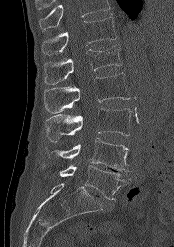 CT; sagittal view

A vertebra cut off by the top edge of the scan is not labeled and has no box.
<vertebrae><v name="L5" x1="42" y1="164" x2="130" y2="200"/><v name="L4" x1="45" y1="138" x2="129" y2="171"/><v name="L3" x1="45" y1="108" x2="131" y2="141"/><v name="L2" x1="43" y1="73" x2="130" y2="113"/><v name="L1" x1="44" y1="45" x2="121" y2="84"/><v name="T12" x1="41" y1="17" x2="116" y2="54"/></vertebrae>